CT · sagittal plane, index 216 · W/L 1800/400 HU · 512x762 px
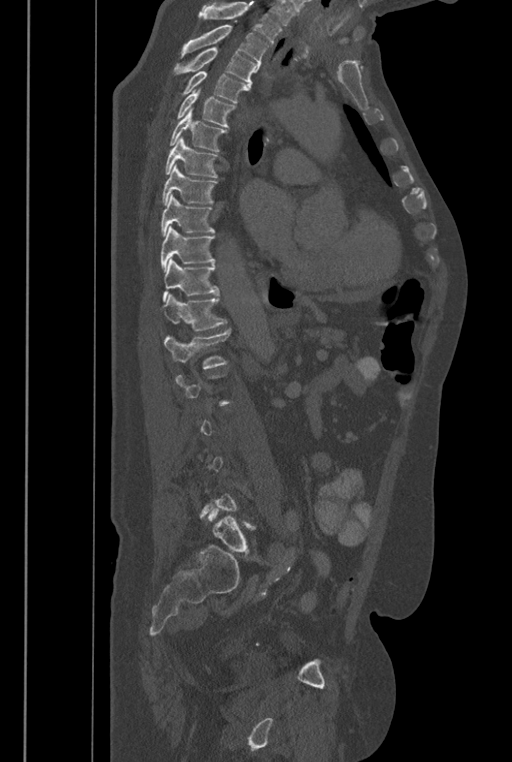 Boxes below are [x1, y1, x2, y2] in pixels.
A vertebra gets a box only on the slices from the first to the last where its cross-section is at least a third of its largest; on a slice outside that range it gets none.
No box is given to a vertebra that the top edge of the scan cuts off.
These labels give the spine a sixth lumbar vertebra, L6, below L5.
{"vertebrae":{"T2":[180,25,269,72],"T3":[173,48,256,90],"T4":[181,71,247,102],"T5":[176,88,236,131],"T6":[170,108,226,151],"T7":[165,136,218,177],"T8":[162,164,217,205],"T9":[161,194,215,236],"T10":[161,226,215,272],"T11":[162,258,218,301],"T12":[159,293,227,330],"L1":[164,329,231,369],"L6":[208,508,255,555]}}